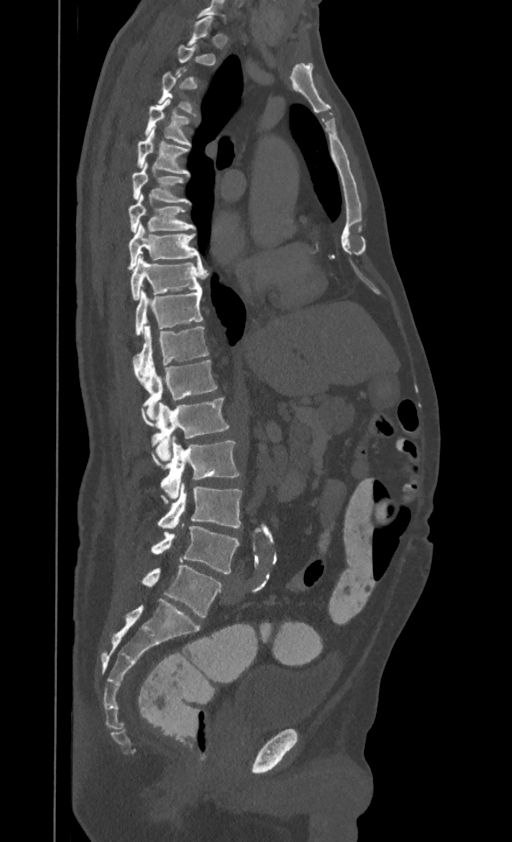
CT — 395 mm wide — sagittal view — bone-window reconstruction
A vertebra gets a box only on the slices from the first to the last where its cross-section is at least a third of its largest; on a slice outside that range it gets none.
Labels in this scan begin with T1 at the top and end with L4 at the bottom.
<vertebrae><v name="L4" x1="152" y1="526" x2="239" y2="573"/><v name="L3" x1="157" y1="483" x2="241" y2="527"/><v name="L2" x1="161" y1="440" x2="239" y2="499"/><v name="L1" x1="142" y1="398" x2="228" y2="462"/><v name="T12" x1="144" y1="360" x2="217" y2="419"/><v name="T11" x1="133" y1="325" x2="209" y2="382"/><v name="T10" x1="135" y1="290" x2="202" y2="336"/><v name="T9" x1="131" y1="255" x2="205" y2="300"/><v name="T8" x1="128" y1="223" x2="200" y2="270"/><v name="T7" x1="128" y1="192" x2="195" y2="232"/><v name="T6" x1="132" y1="162" x2="189" y2="202"/><v name="T5" x1="137" y1="127" x2="189" y2="174"/><v name="T4" x1="145" y1="97" x2="191" y2="145"/></vertebrae>